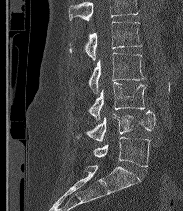

CT; sagittal view; W/L 1800/400 HU; 183 mm across the image
Vertebrae that run past the top of the scan are left unlabeled.
In these labels the spine has an L6, a sixth lumbar vertebra below L5.
<vertebrae><v name="L2" x1="69" y1="22" x2="141" y2="61"/><v name="L3" x1="88" y1="53" x2="145" y2="93"/><v name="L4" x1="88" y1="82" x2="146" y2="121"/><v name="L5" x1="76" y1="110" x2="155" y2="142"/><v name="L6" x1="93" y1="137" x2="149" y2="166"/></vertebrae>